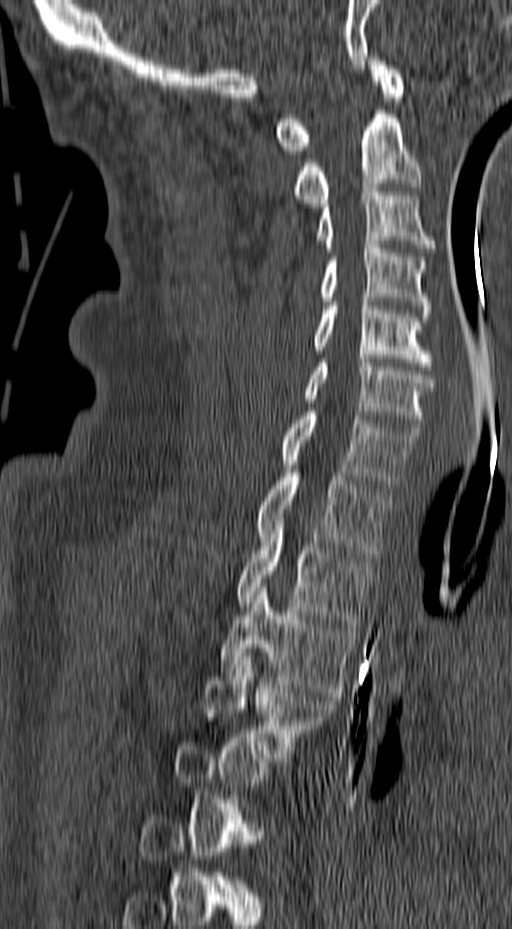 Computed tomography of the spine — sagittal view — 512x929 px
Box edges are left/top/right/bottom in pixels. Not every vertebra on this slice has a box: a vertebra is boxed only from the first to the last slice where its cross-section is at least a third of its largest, and this slice is outside that range for at least one of them. The labeled vertebrae in this slice are: C1 at left=275, top=57, right=404, bottom=154, C2 at left=291, top=110, right=421, bottom=207, C3 at left=314, top=188, right=436, bottom=252, C4 at left=317, top=241, right=431, bottom=317, C5 at left=311, top=294, right=434, bottom=370, C6 at left=304, top=359, right=434, bottom=431, C7 at left=282, top=412, right=421, bottom=488, T1 at left=256, top=461, right=391, bottom=557, T2 at left=236, top=518, right=372, bottom=627, T3 at left=220, top=583, right=356, bottom=696, T4 at left=203, top=652, right=336, bottom=765.